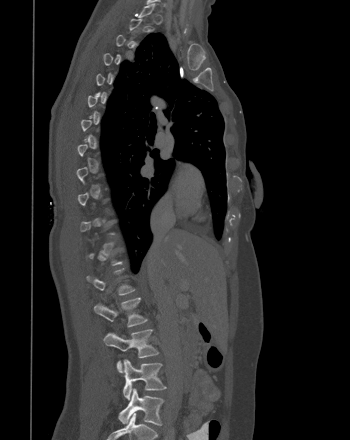

Computed tomography of the spine. sagittal view. 350 mm image width
Each box given as x1,y1,x2,y2. A vertebra gets a box only on the slices from the first to the last where its cross-section is at least a third of its largest; on a slice outside that range it gets none. 4 vertebrae labeled — L2 at x1=94, y1=297, x2=147, y2=327; L3 at x1=103, y1=329, x2=158, y2=372; L4 at x1=123, y1=359, x2=166, y2=399; L5 at x1=118, y1=388, x2=163, y2=425.